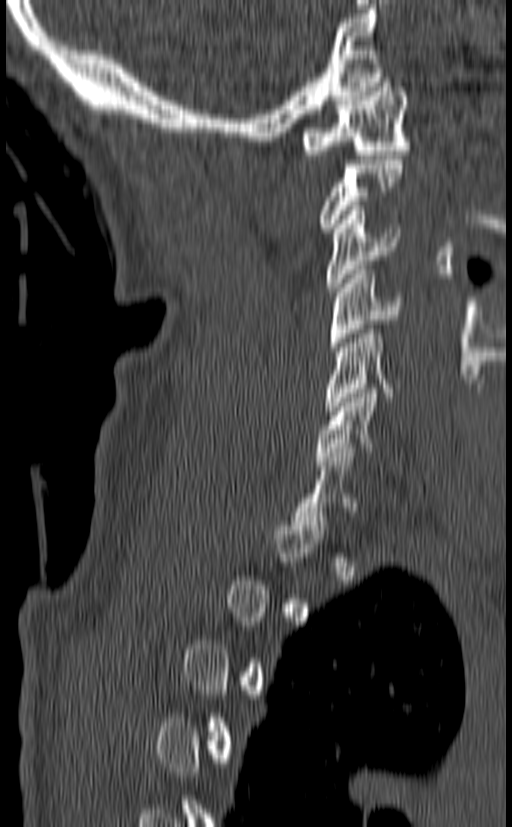

CT, spine; sagittal view; 512x827 px. Boxes: x1 y1 x2 y2 (pixel coords, space-separated).
Each vertebra is boxed only on the slices from the first to the last where its cross-section reaches a third of its largest, so a slice outside that range leaves it unboxed.
C1: 301 78 410 159
C3: 325 206 401 292
C4: 329 265 403 351
C5: 324 325 404 415
C6: 315 384 377 465
C7: 292 448 359 534